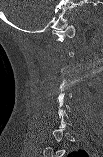 Spine CT; 103 mm wide; sagittal view
Each box given as x1,y1,x2,y2.
A vertebra gets a box only on the slices from the first to the last where its cross-section is at least a third of its largest; on a slice outside that range it gets none.
Vertebra bounding boxes:
- C5: x1=56, y1=82, x2=71, y2=101
- C1: x1=52, y1=25, x2=75, y2=41